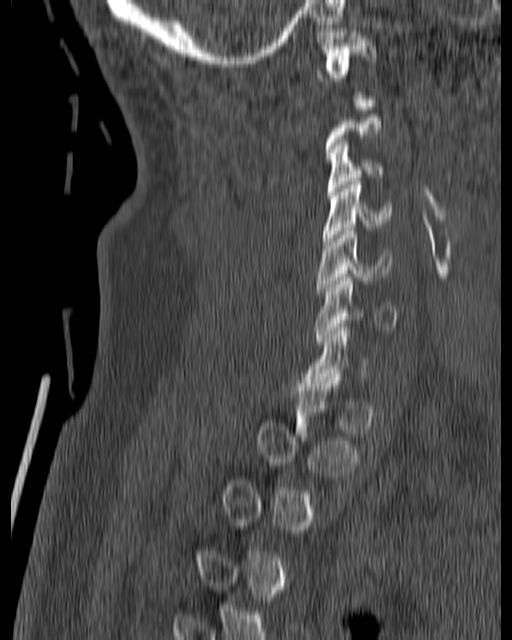
Spine CT · sagittal view · bone window · the image is 180 mm wide. Coordinates as <box>x1,y1,x2,y2</box>.
A vertebra gets a box only on the slices from the first to the last where its cross-section is at least a third of its largest; on a slice outside that range it gets none.
Vertebra bounding boxes:
- C6: <box>314,277,398,344</box>
- C5: <box>316,228,390,294</box>
- C4: <box>322,178,392,248</box>
- C3: <box>328,139,384,195</box>
- C1: <box>316,28,376,81</box>